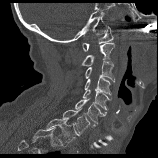 CT spine; sagittal reformat; W/L 1800/400 HU; 158 mm image width
Boxes are (x1, y1, x2, y2) in pixels.
In this scan, the topmost labeled vertebra is C1 and the lowest is T1.
Vertebra bounding boxes:
- C1: (82, 26, 113, 51)
- C2: (82, 43, 114, 65)
- C3: (85, 61, 114, 82)
- C4: (85, 76, 111, 95)
- C5: (83, 89, 111, 110)
- C6: (75, 98, 106, 126)
- C7: (62, 108, 90, 134)
- T1: (46, 118, 78, 143)